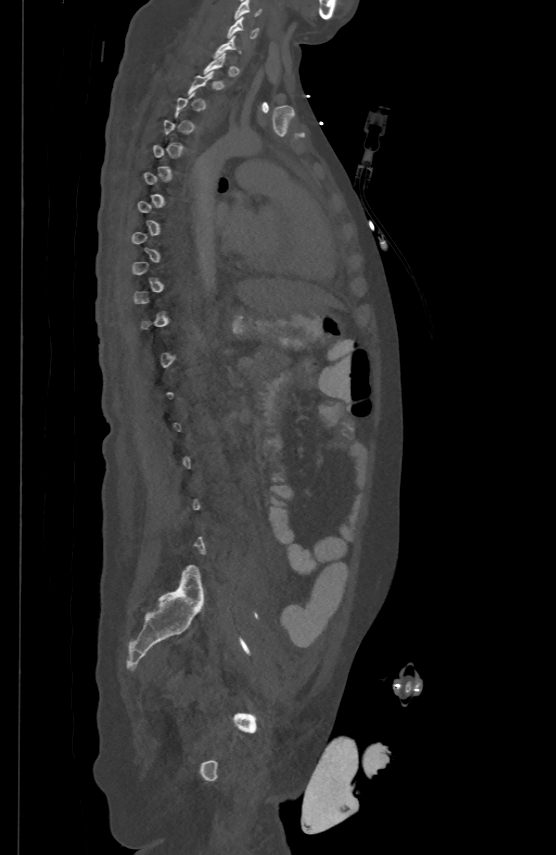

Spine CT · sagittal reformat · bone-window reconstruction

Boxes: x1 y1 x2 y2 (pixel coords, space-separated).
Not every vertebra on this slice has a box: a vertebra is boxed only from the first to the last slice where its cross-section is at least a third of its largest, and this slice is outside that range for at least one of them.
C5: 234 0 261 18
C6: 227 15 258 36